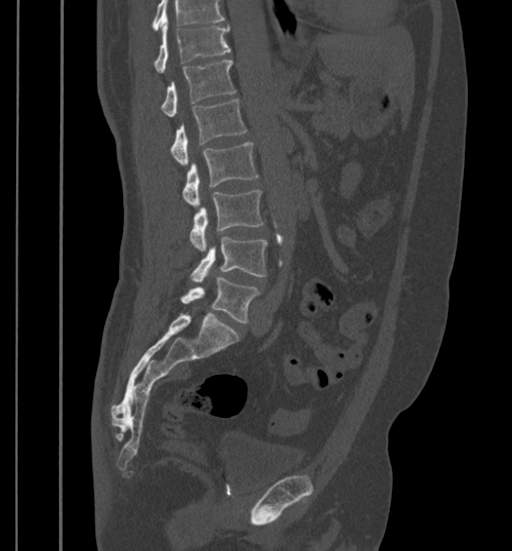 CT, spine; sagittal reformat

In the table, x1 and y1 are a box's top-left corner and x2 and y2 its bottom-right corner, in pixels.
A vertebra cut off by the top edge of the scan is not labeled and has no box.
| vertebra | x1 | y1 | x2 | y2 |
|---|---|---|---|---|
| T11 | 154 | 21 | 231 | 73 |
| T12 | 160 | 60 | 235 | 117 |
| L1 | 171 | 99 | 247 | 164 |
| L2 | 182 | 142 | 258 | 206 |
| L3 | 190 | 190 | 263 | 251 |
| L4 | 191 | 237 | 267 | 282 |
| L5 | 181 | 277 | 259 | 323 |